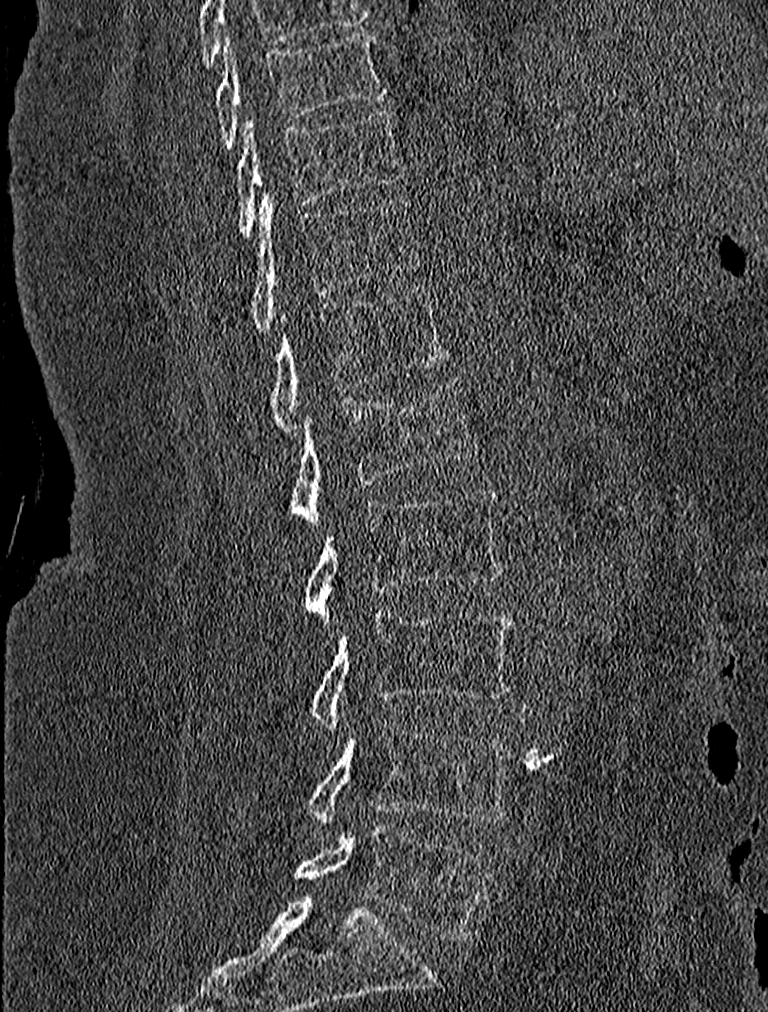

Spine computed tomography; sagittal reformat; 227 mm image width; 768x1012 px. Boxes are (x1, y1, x2, y2) in pixels.
Vertebra bounding boxes:
- T9: (215, 30, 387, 148)
- T10: (236, 111, 404, 237)
- T11: (249, 193, 417, 332)
- T12: (269, 288, 448, 437)
- L1: (290, 376, 478, 526)
- L2: (303, 487, 502, 617)
- L3: (310, 611, 515, 731)
- L4: (307, 719, 513, 830)
- L5: (293, 824, 495, 941)